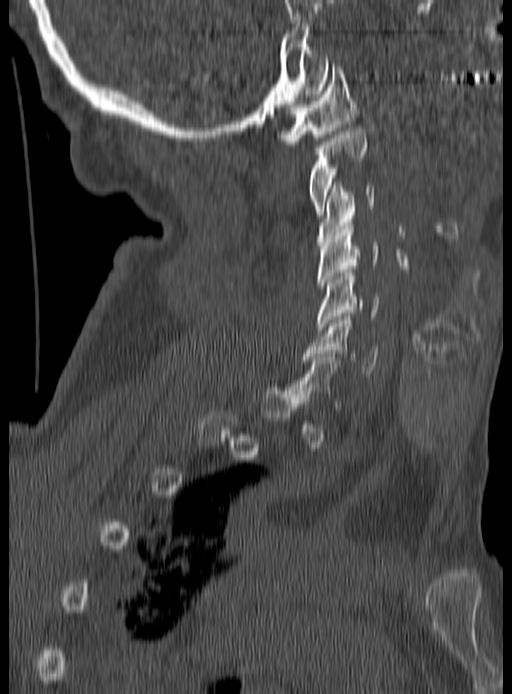
Spine CT. sagittal view
Box edges are left/top/right/bottom in pixels.
Each vertebra is boxed only on the slices from the first to the last where its cross-section reaches a third of its largest, so a slice outside that range leaves it unboxed.
Vertebra bounding boxes:
- C1: left=278, top=64, right=358, bottom=147
- C2: left=308, top=131, right=366, bottom=215
- C3: left=317, top=182, right=374, bottom=245
- C4: left=317, top=222, right=377, bottom=289
- C5: left=316, top=269, right=380, bottom=329
- C6: left=303, top=317, right=379, bottom=376